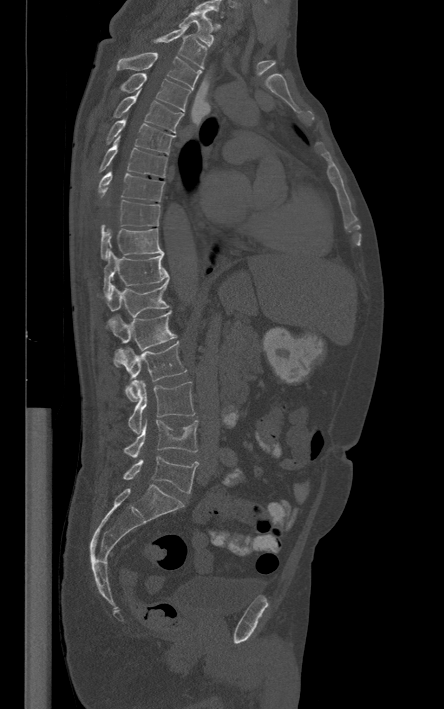 CT, spine — sagittal view
Bounding boxes as [x1, y1, x2, y2] in pixel coordinates.
Labels in this scan begin with T1 at the top and end with L5 at the bottom.
Vertebra bounding boxes:
- T1: [179, 12, 213, 46]
- T2: [154, 26, 206, 68]
- T3: [117, 52, 201, 88]
- T4: [120, 73, 190, 112]
- T5: [112, 89, 183, 132]
- T6: [107, 119, 174, 154]
- T7: [100, 136, 167, 177]
- T8: [99, 172, 164, 201]
- T9: [101, 200, 160, 231]
- T10: [101, 228, 164, 259]
- T11: [103, 250, 169, 294]
- T12: [97, 281, 168, 317]
- L1: [108, 311, 176, 367]
- L2: [114, 342, 186, 400]
- L3: [128, 380, 195, 434]
- L4: [124, 420, 197, 457]
- L5: [123, 455, 198, 493]